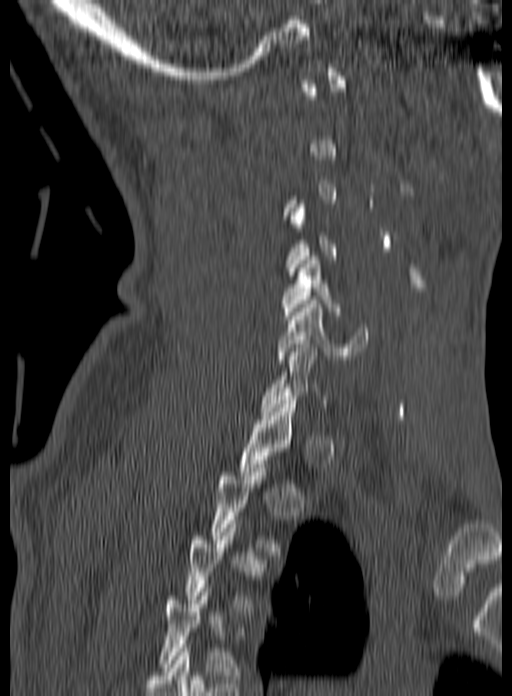
CT; sagittal view; Bone window (WL 400, WW 1800); 512x696 px
A vertebra is boxed only from the first to the last slice where its cross-section is at least a third of its largest; slices outside that range leave it without a box.
<vertebrae><v name="C6" x1="276" y1="300" x2="368" y2="363"/><v name="C5" x1="281" y1="256" x2="339" y2="315"/></vertebrae>